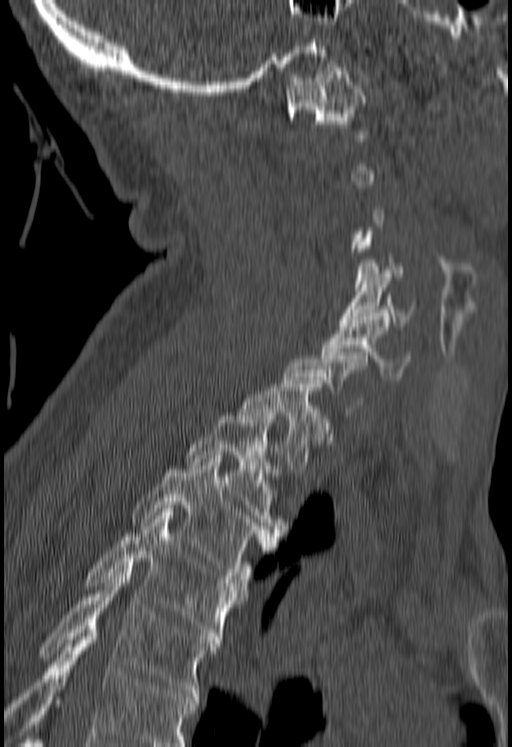 Spine CT — sagittal view — Bone window (WL 400, WW 1800) — 512x747 px
Coordinates as <box>x1,y1,x2,y2</box>.
A vertebra gets a box only on the slices from the first to the last where its cross-section is at least a third of its largest; on a slice outside that range it gets none.
No box is given to a vertebra that the bottom edge of the scan cuts off.
C1: <box>285,68,366,141</box>
C5: <box>338,270,415,326</box>
C6: <box>322,316,409,379</box>
T1: <box>239,384,328,472</box>
T2: <box>185,412,284,536</box>
T3: <box>132,459,276,582</box>
T4: <box>83,512,245,643</box>
T5: <box>37,569,219,696</box>